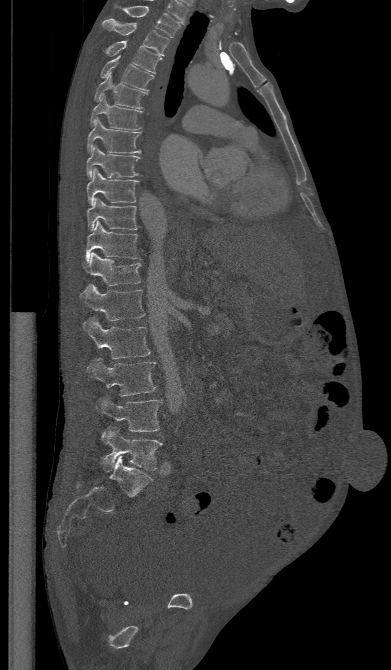
CT spine; sagittal view; 391 mm wide

Columns x1, y1, x2, y2 give each box's top-left and bottom-right pixels.
| vertebra | x1 | y1 | x2 | y2 |
|---|---|---|---|---|
| L5 | 101 | 427 | 162 | 471 |
| L4 | 95 | 395 | 161 | 431 |
| L3 | 87 | 357 | 156 | 396 |
| L2 | 83 | 317 | 150 | 358 |
| L1 | 80 | 283 | 144 | 320 |
| T12 | 84 | 252 | 141 | 285 |
| T11 | 85 | 221 | 140 | 262 |
| T10 | 87 | 197 | 137 | 231 |
| T9 | 86 | 169 | 138 | 205 |
| T8 | 86 | 145 | 139 | 177 |
| T7 | 87 | 118 | 141 | 154 |
| T6 | 90 | 94 | 143 | 129 |
| T5 | 94 | 73 | 148 | 109 |
| T4 | 100 | 55 | 153 | 91 |
| T3 | 105 | 40 | 161 | 73 |
| T2 | 102 | 18 | 169 | 56 |
| T1 | 122 | 6 | 180 | 37 |